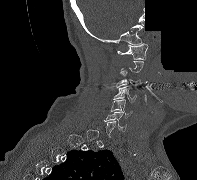

CT spine; sagittal view; bone window; part of the scan has been removed (filled with constant black). Each box given as x1,y1,x2,y2.
A vertebra gets a box only on the slices from the first to the last where its cross-section is at least a third of its largest; on a slice outside that range it gets none.
Vertebra bounding boxes:
- C1: x1=117, y1=43, x2=148, y2=59
- C3: x1=116, y1=70, x2=147, y2=87
- C4: x1=113, y1=86, x2=136, y2=101
- C5: x1=111, y1=99, x2=132, y2=116
- C6: x1=104, y1=112, x2=126, y2=131